CT spine; sagittal reformat; W/L 1800/400 HU; an area of the scan was removed and filled with constant pixels
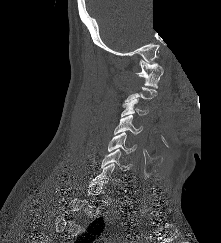

Boxes are (x1, y1, x2, y2) in pixels. Not every vertebra on this slice has a box: a vertebra is boxed only from the first to the last slice where its cross-section is at least a third of its largest, and this slice is outside that range for at least one of them. The labeled vertebrae in this slice are: C7 at (92, 163, 120, 183), C6 at (101, 149, 132, 170), C5 at (107, 132, 137, 153), C4 at (114, 115, 142, 134), C3 at (121, 98, 148, 117), C1 at (134, 59, 163, 89).